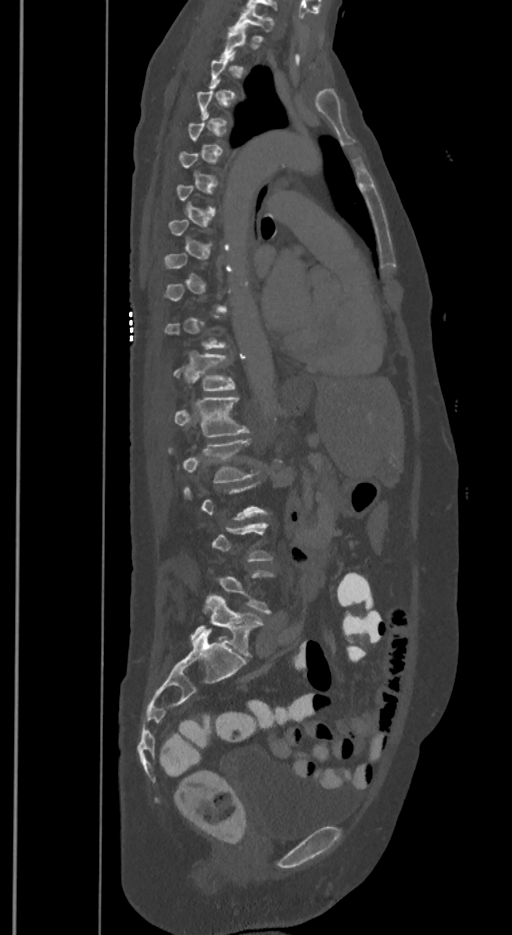

CT. sagittal view. bone window. Each box given as x1,y1,x2,y2. A vertebra is boxed only from the first to the last slice where its cross-section is at least a third of its largest; slices outside that range leave it without a box. In these labels the spine has an L6, a sixth lumbar vertebra below L5. Vertebrae labeled: L6 at x1=190, y1=594, x2=262, y2=656, L2 at x1=168, y1=438, x2=256, y2=482, L1 at x1=174, y1=396, x2=249, y2=436, T12 at x1=174, y1=353, x2=234, y2=390, T1 at x1=231, y1=7, x2=274, y2=32.